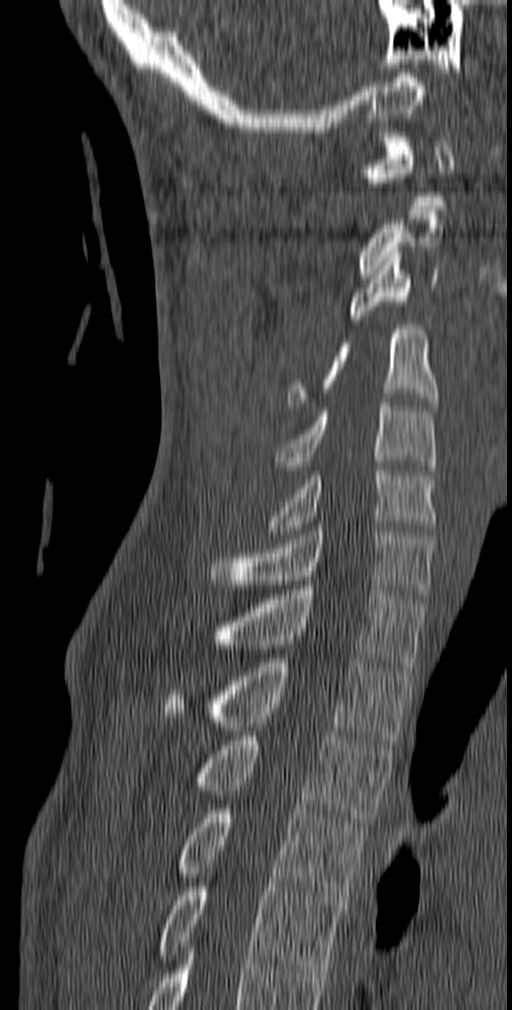
CT, spine; sagittal reformat
Box edges are left/top/right/bottom in pixels. The labeled vertebrae in this slice are: C1 at left=360, top=133, right=454, bottom=205, C2 at left=356, top=210, right=443, bottom=278, C3 at left=345, top=251, right=438, bottom=324, C4 at left=287, top=325, right=439, bottom=410, C5 at left=275, top=402, right=436, bottom=474, C6 at left=268, top=466, right=436, bottom=534, C7 at left=208, top=526, right=435, bottom=598, T1 at left=193, top=585, right=425, bottom=671, T2 at left=164, top=658, right=412, bottom=744, T3 at left=188, top=736, right=393, bottom=826, T4 at left=173, top=809, right=367, bottom=900, T5 at left=159, top=882, right=344, bottom=973.